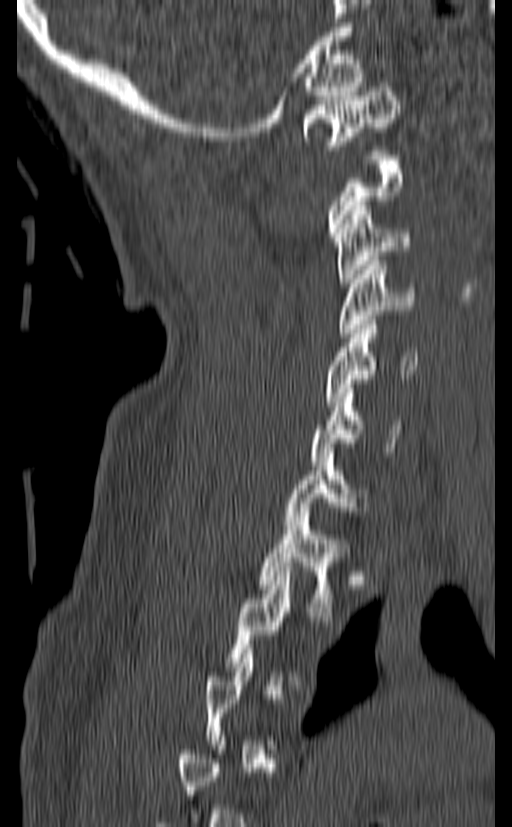

CT, spine · sagittal view
A vertebra is boxed only from the first to the last slice where its cross-section is at least a third of its largest; slices outside that range leave it without a box.
<vertebrae><v name="C1" x1="302" y1="82" x2="399" y2="154"/><v name="C3" x1="334" y1="206" x2="411" y2="287"/><v name="C4" x1="338" y1="261" x2="414" y2="337"/><v name="C5" x1="323" y1="320" x2="417" y2="406"/><v name="C6" x1="309" y1="384" x2="403" y2="465"/><v name="C7" x1="284" y1="453" x2="368" y2="529"/><v name="T1" x1="259" y1="512" x2="349" y2="616"/></vertebrae>